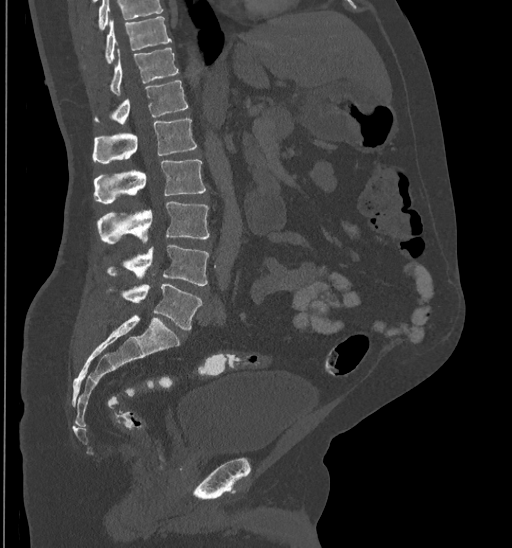
CT spine; sagittal view; 512x548 px

Boxes: x1 y1 x2 y2 (pixel coords, space-separated).
Vertebrae that run past the top of the scan are left unlabeled.
Vertebra bounding boxes:
- T10: 106 16 172 63
- T11: 111 48 178 94
- T12: 95 81 188 124
- L1: 93 119 197 163
- L2: 93 159 206 203
- L3: 98 201 210 243
- L4: 106 246 208 285
- L5: 106 283 201 330